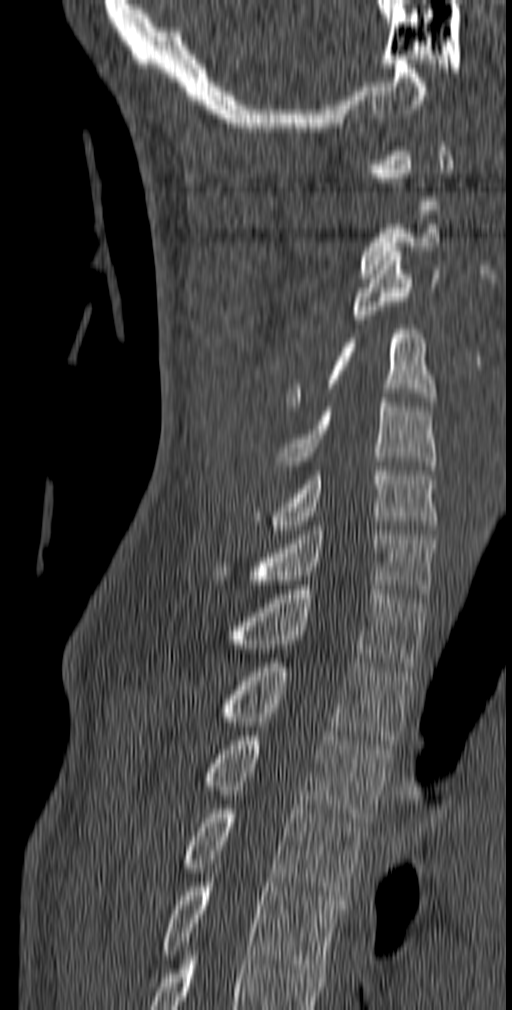

Spine CT; sagittal view; bone-window reconstruction. Box edges are left/top/right/bottom in pixels.
A vertebra is boxed only from the first to the last slice where its cross-section is at least a third of its largest; slices outside that range leave it without a box.
C3: left=352, top=247, right=441, bottom=324
C4: left=287, top=325, right=436, bottom=406
C5: left=276, top=398, right=436, bottom=474
C6: left=255, top=466, right=439, bottom=534
C7: left=213, top=526, right=437, bottom=598
T1: left=228, top=585, right=425, bottom=671
T2: left=216, top=658, right=412, bottom=744
T3: left=206, top=736, right=393, bottom=826
T4: left=184, top=805, right=366, bottom=900
T5: left=162, top=873, right=340, bottom=973